CT — the image spans 220 mm across — sagittal view — scan covers 5 annotated vertebrae
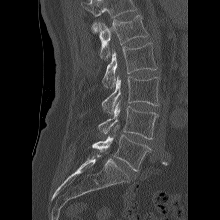 Box edges are left/top/right/bottom in pixels. Vertebrae that run past the top of the scan are left unlabeled. The labeled vertebrae in this slice are: L5 at left=92, top=125, right=151, bottom=171, L4 at left=98, top=100, right=158, bottom=139, L3 at left=102, top=75, right=159, bottom=114, L2 at left=102, top=43, right=157, bottom=87, L1 at left=99, top=15, right=148, bottom=58.